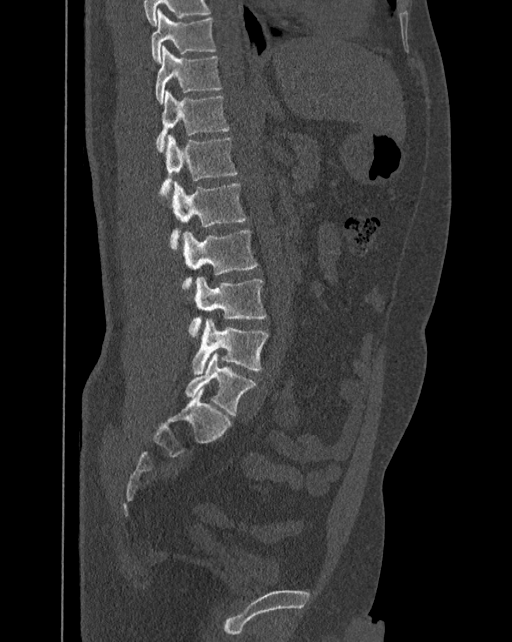

Spine computed tomography. sagittal view. 392 mm across the image. Boxes are (x1, y1, x2, y2) in pixels.
In these labels the spine has an L6, a sixth lumbar vertebra below L5.
T10: (151, 9, 216, 62)
T11: (155, 46, 221, 104)
T12: (155, 91, 230, 151)
L1: (159, 135, 238, 193)
L2: (170, 181, 247, 249)
L3: (181, 230, 257, 287)
L4: (189, 277, 267, 340)
L5: (192, 317, 268, 374)
L6: (185, 353, 256, 415)